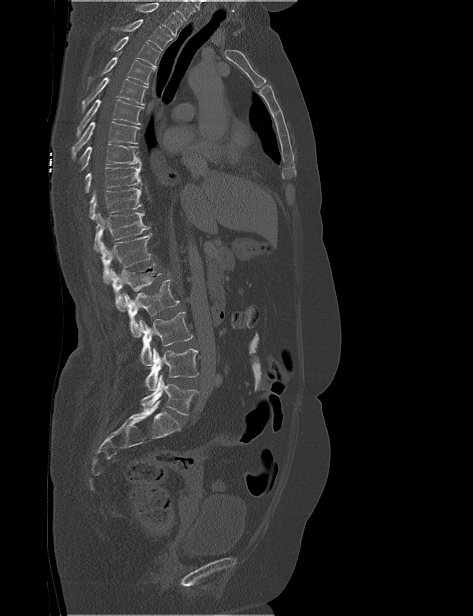 Computed tomography of the spine · sagittal view · W/L 1800/400 HU

Each box given as x1,y1,x2,y2.
Where the top of the scan cuts through a vertebra, that vertebra gets no label or box.
Vertebra bounding boxes:
- T2: x1=111, y1=19, x2=172, y2=50
- T3: x1=111, y1=36, x2=160, y2=67
- T4: x1=87, y1=51, x2=155, y2=89
- T5: x1=81, y1=74, x2=147, y2=113
- T6: x1=76, y1=99, x2=143, y2=138
- T7: x1=72, y1=121, x2=140, y2=159
- T8: x1=78, y1=144, x2=141, y2=171
- T9: x1=84, y1=164, x2=142, y2=192
- T10: x1=89, y1=188, x2=142, y2=220
- T11: x1=94, y1=211, x2=150, y2=251
- T12: x1=100, y1=233, x2=152, y2=283
- L1: x1=109, y1=263, x2=161, y2=311
- L2: x1=120, y1=279, x2=179, y2=337
- L3: x1=139, y1=312, x2=193, y2=365
- L4: x1=145, y1=348, x2=199, y2=390
- L5: x1=140, y1=375, x2=198, y2=415